CT spine — sagittal reformat — bone-window reconstruction — image 157 mm wide
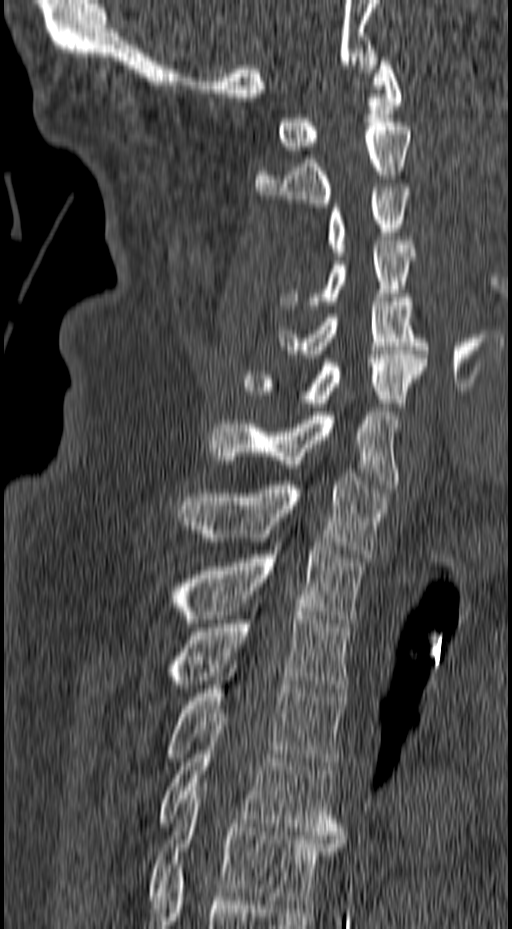
<vertebrae><v name="C1" x1="277" y1="53" x2="401" y2="154"/><v name="C2" x1="256" y1="122" x2="411" y2="207"/><v name="C3" x1="327" y1="188" x2="412" y2="256"/><v name="C4" x1="278" y1="241" x2="417" y2="309"/><v name="C5" x1="278" y1="294" x2="428" y2="358"/><v name="C6" x1="242" y1="351" x2="427" y2="407"/><v name="C7" x1="207" y1="387" x2="399" y2="488"/><v name="T1" x1="177" y1="473" x2="388" y2="557"/><v name="T2" x1="164" y1="542" x2="362" y2="627"/><v name="T3" x1="164" y1="607" x2="349" y2="692"/><v name="T4" x1="164" y1="664" x2="346" y2="769"/><v name="T5" x1="158" y1="726" x2="346" y2="839"/><v name="T6" x1="147" y1="787" x2="343" y2="904"/></vertebrae>